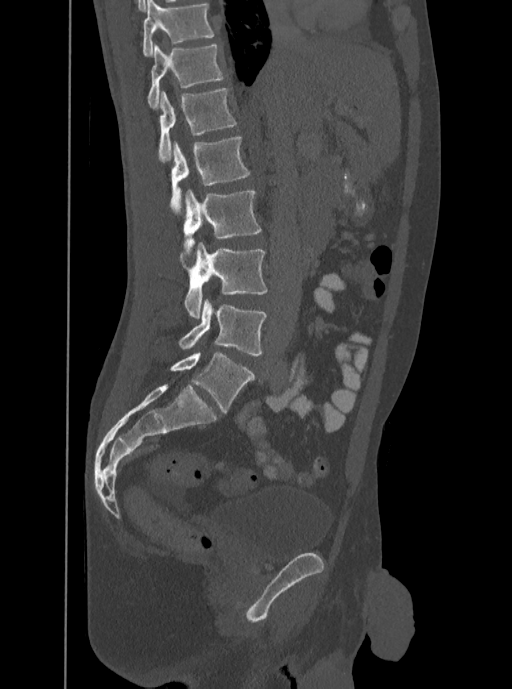

CT spine; sagittal view; W/L 1800/400 HU; 512x689 px

Boxes are (x1, y1, x2, y2) in pixels.
This scan's labels start at T12 at the top and end at L5 at the bottom.
Vertebra bounding boxes:
- L5: (178, 298, 266, 356)
- L4: (179, 242, 266, 318)
- L3: (183, 188, 261, 261)
- L2: (171, 136, 250, 214)
- L1: (158, 87, 237, 162)
- T12: (147, 43, 226, 108)